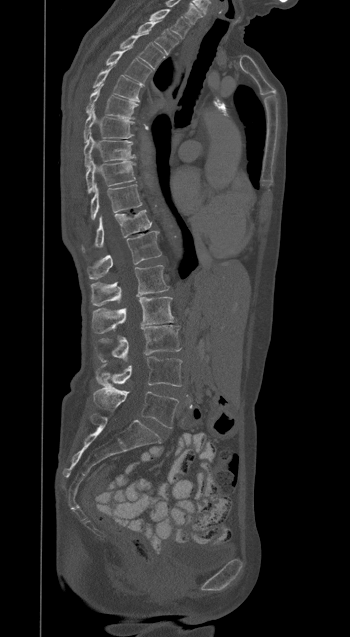
CT, spine; sagittal reformat; the image spans 350 mm across; bone window; 350x637 px. Coordinates as <box>x1,y1,x2,y2</box>. The labeled vertebrae in this slice are: T1 at <box>150,9,190,38</box>, T2 at <box>137,21,178,54</box>, T3 at <box>120,35,164,69</box>, T4 at <box>106,49,151,84</box>, T5 at <box>93,67,144,102</box>, T6 at <box>86,86,137,118</box>, T7 at <box>83,108,134,141</box>, T8 at <box>84,132,134,167</box>, T9 at <box>86,157,135,192</box>, T10 at <box>90,185,141,220</box>, T11 at <box>82,210,151,251</box>, T12 at <box>87,231,161,279</box>, L1 at <box>91,265,169,305</box>, L2 at <box>92,297,175,334</box>, L3 at <box>98,325,180,361</box>, L4 at <box>96,357,181,387</box>, L5 at <box>93,387,178,428</box>.